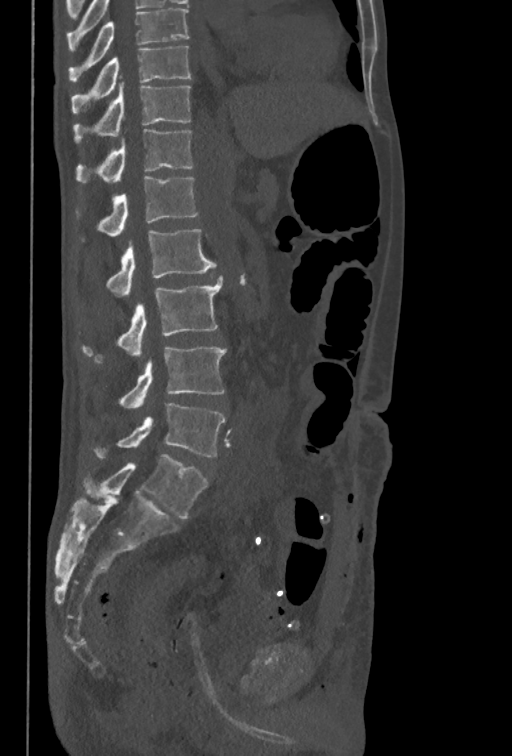

CT. sagittal view. Bone window (WL 400, WW 1800)
Box edges are left/top/right/bottom in pixels.
The highest labeled vertebra in this scan is T10; the lowest is L5.
T10: left=71, top=46, right=190, bottom=114
T11: left=74, top=83, right=190, bottom=143
T12: left=76, top=129, right=193, bottom=183
L1: left=98, top=176, right=198, bottom=236
L2: left=107, top=229, right=217, bottom=297
L3: left=82, top=275, right=222, bottom=362
L4: left=118, top=346, right=226, bottom=408
L5: left=93, top=403, right=226, bottom=458